CT; sagittal reformat; the image is 421 mm wide; 702x1284 px; scan covers 19 annotated vertebrae
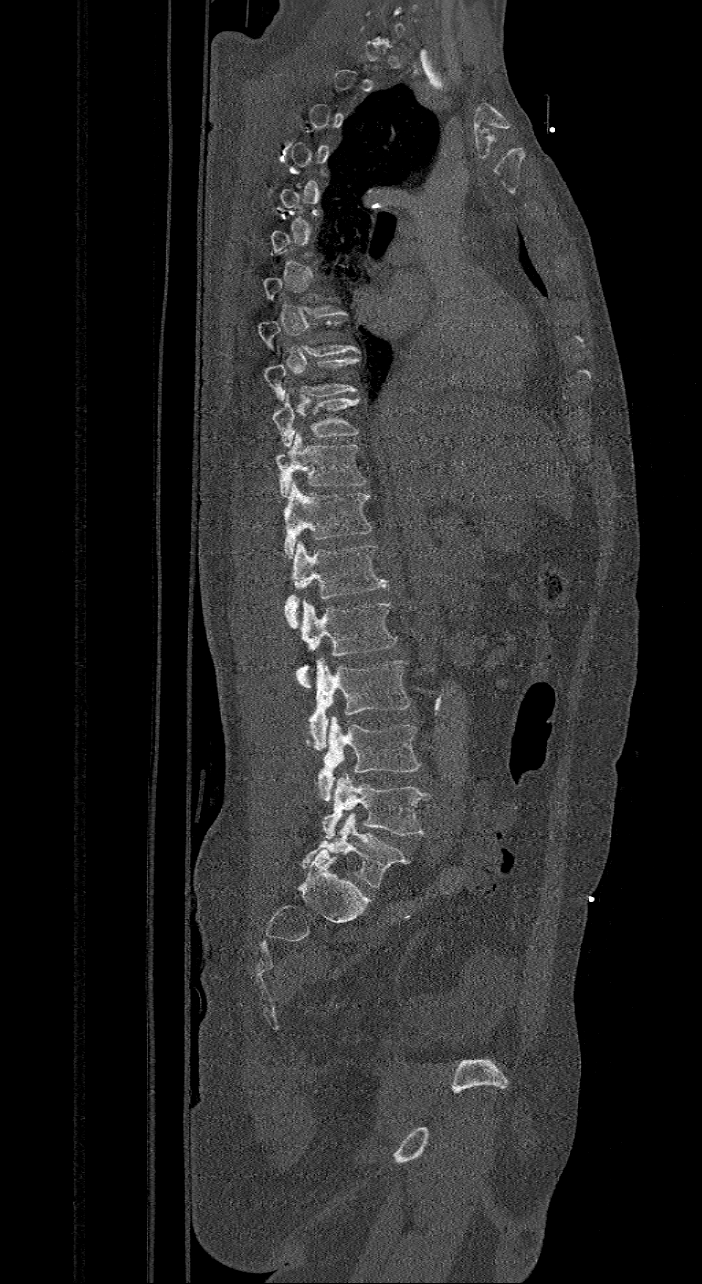
Box values are [left, top, right, bottom] in pixels.
Not every vertebra on this slice has a box: a vertebra is boxed only from the first to the last slice where its cross-section is at least a third of its largest, and this slice is outside that range for at least one of them.
In these labels the spine has an L6, a sixth lumbar vertebra below L5.
{"vertebrae":{"L6":[300,813,410,888],"L5":[322,773,431,838],"L4":[317,716,421,801],"L3":[304,658,410,749],"L2":[296,598,398,687],"L1":[284,541,387,628],"T12":[284,482,372,557],"T11":[275,432,368,496],"T10":[271,394,359,447],"T9":[263,357,359,400]}}